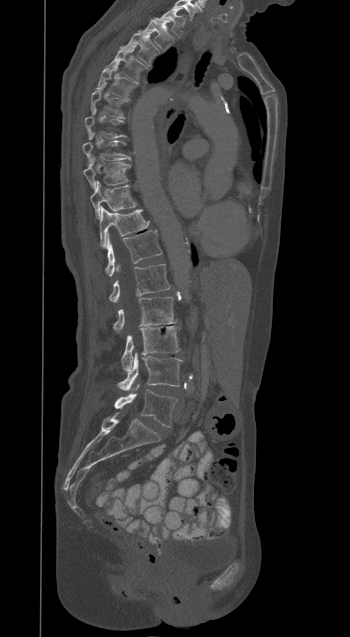 CT spine. sagittal view
Box values are [left, top, right, bottom] in pixels.
{"vertebrae":{"T1":[154,7,184,36],"T2":[139,19,173,51],"T3":[121,33,160,64],"T4":[107,48,145,81],"T5":[97,64,135,99],"T6":[90,85,125,117],"T7":[85,109,125,138],"T8":[82,133,130,165],"T9":[83,157,130,189],"T10":[90,181,136,218],"T11":[99,206,148,247],"T12":[105,230,162,276],"L1":[109,264,170,302],"L2":[113,297,176,332],"L3":[121,326,179,371],"L4":[117,353,181,390],"L5":[114,385,176,427]}}